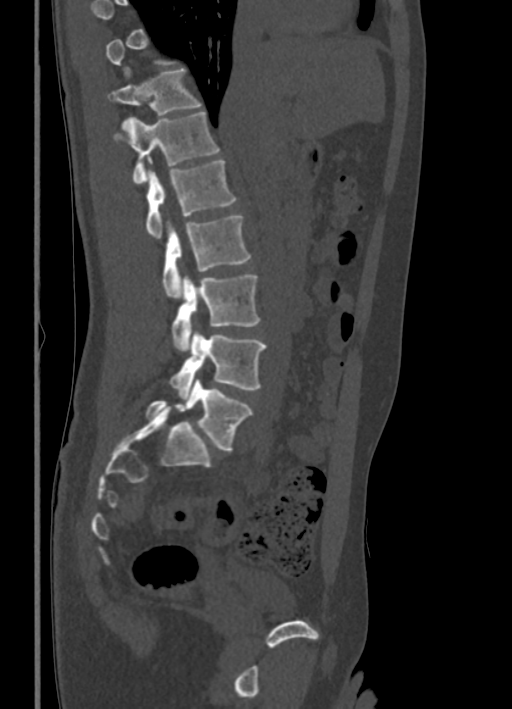 CT; sagittal reformat; bone window
Boxes are (x1, y1, x2, y2) in pixels.
Each vertebra is boxed only on the slices from the first to the last where its cross-section reaches a third of its largest, so a slice outside that range leaves it unboxed.
T11: (108, 68, 201, 131)
T12: (114, 111, 220, 183)
L1: (146, 160, 237, 238)
L2: (163, 215, 250, 298)
L3: (172, 274, 259, 351)
L4: (169, 331, 266, 398)
L5: (145, 379, 252, 451)